CT spine. Sagittal slice 280/512. W/L 1800/400 HU. 453x1568 px. a uniform gray block covers part of the image
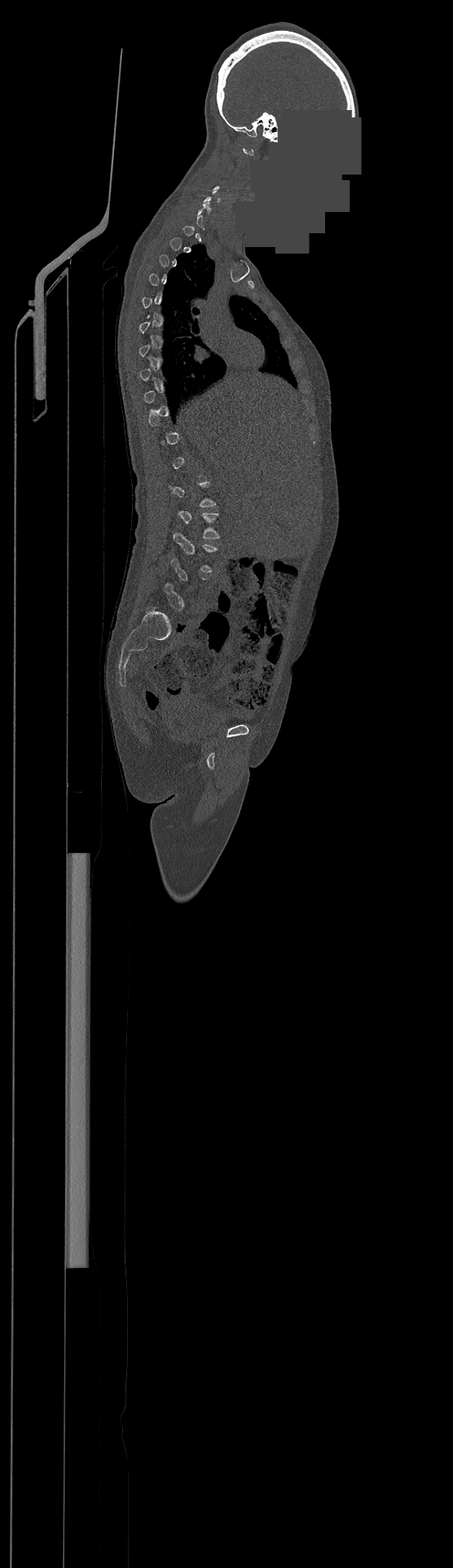
Each row gives a vertebra's box as x1, y1, x2, y2 in pixels: top-left corner, then bottom-right corner.
Each vertebra is boxed only on the slices from the first to the last where its cross-section reaches a third of its largest, so a slice outside that range leaves it unboxed.
| vertebra | x1 | y1 | x2 | y2 |
|---|---|---|---|---|
| L2 | 178 | 510 | 220 | 538 |
| L3 | 174 | 532 | 218 | 572 |